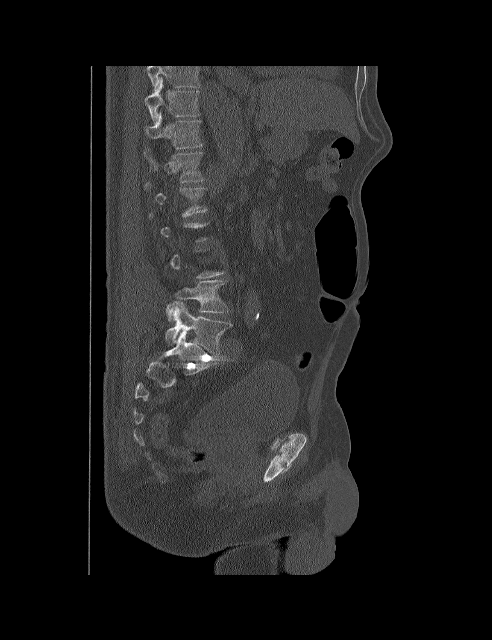 Computed tomography of the spine. sagittal view. the image spans 492 mm across
Each box given as x1,y1,x2,y2.
Each vertebra is boxed only on the slices from the first to the last where its cross-section reaches a third of its largest, so a slice outside that range leaves it unboxed.
The highest labeled vertebra in this scan is T10; the lowest is L5.
L5: x1=165, y1=302, x2=231, y2=356
L4: x1=167, y1=280, x2=227, y2=320
T12: x1=144, y1=149, x2=203, y2=182
T11: x1=146, y1=111, x2=202, y2=148
T10: x1=145, y1=78, x2=199, y2=123